CT; sagittal plane, index 260; 10 vertebrae labeled in this scan; the image is 140 mm wide
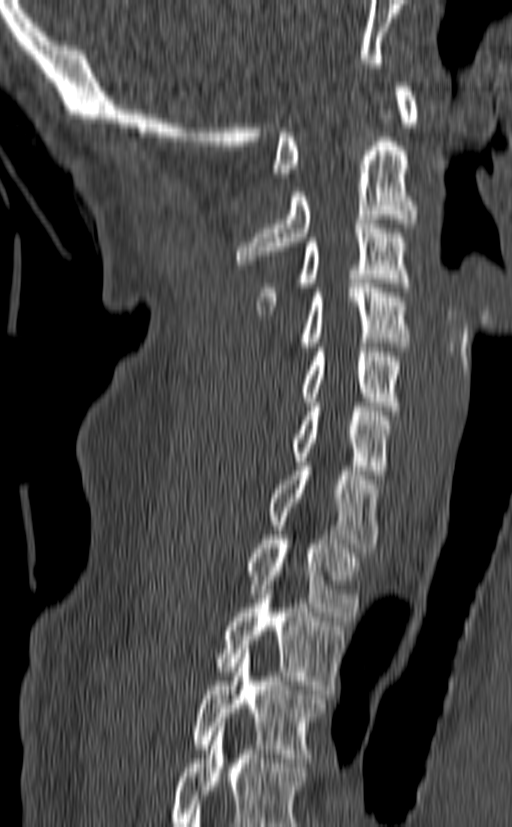 Each row gives a vertebra's box as x1, y1, x2, y2 in pixels: top-left corner, then bottom-right corner.
In this scan, the topmost labeled vertebra is C1 and the lowest is T3.
| vertebra | x1 | y1 | x2 | y2 |
|---|---|---|---|---|
| C1 | 272 | 82 | 418 | 177 |
| C2 | 236 | 110 | 418 | 264 |
| C3 | 257 | 219 | 412 | 314 |
| C4 | 298 | 279 | 410 | 351 |
| C5 | 298 | 347 | 403 | 415 |
| C6 | 290 | 402 | 392 | 479 |
| C7 | 268 | 462 | 381 | 552 |
| T1 | 246 | 535 | 362 | 621 |
| T2 | 213 | 571 | 348 | 694 |
| T3 | 192 | 645 | 326 | 762 |